Computed tomography of the spine. sagittal view. 500 mm image width
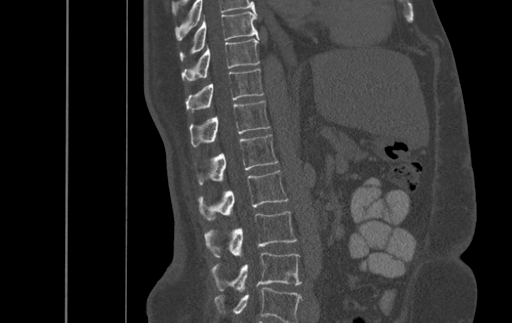

Each box given as x1,y1,x2,y2.
This scan's labels start at T9 at the top and end at L4 at the bottom.
| vertebra | x1 | y1 | x2 | y2 |
|---|---|---|---|---|
| L4 | 211 | 252 | 301 | 291 |
| L3 | 204 | 211 | 296 | 257 |
| L2 | 198 | 170 | 288 | 220 |
| L1 | 199 | 134 | 277 | 184 |
| T12 | 190 | 100 | 269 | 146 |
| T11 | 186 | 69 | 263 | 112 |
| T10 | 182 | 37 | 259 | 81 |
| T9 | 179 | 12 | 258 | 59 |